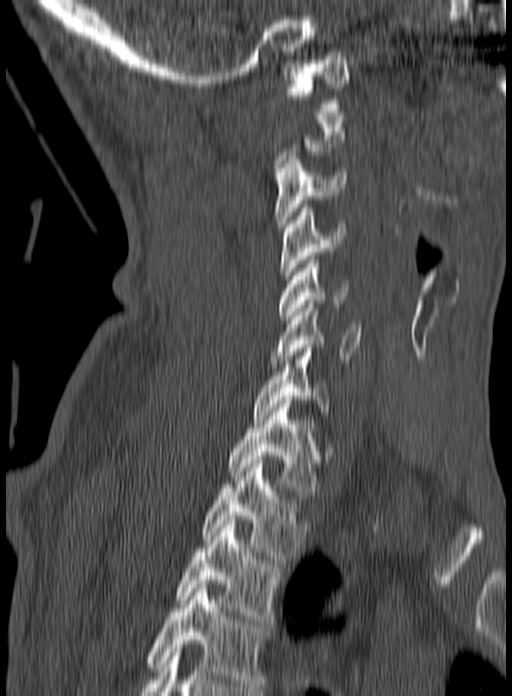 Spine CT. sagittal view. Each box given as x1,y1,x2,y2.
Not every vertebra on this slice has a box: a vertebra is boxed only from the first to the last slice where its cross-section is at least a third of its largest, and this slice is outside that range for at least one of them.
This scan's labels start at C1 at the top and end at T3 at the bottom.
Vertebra bounding boxes:
- C1: x1=286, y1=64, x2=349, y2=111
- C3: x1=274, y1=156, x2=346, y2=231
- C4: x1=280, y1=204, x2=347, y2=279
- C5: x1=278, y1=256, x2=349, y2=319
- C6: x1=270, y1=300, x2=363, y2=367
- C7: x1=254, y1=344, x2=331, y2=419
- T1: x1=228, y1=400, x2=322, y2=495
- T2: x1=203, y1=464, x2=307, y2=559
- T3: x1=177, y1=516, x2=282, y2=623